CT spine — sagittal view — 350 mm across the image
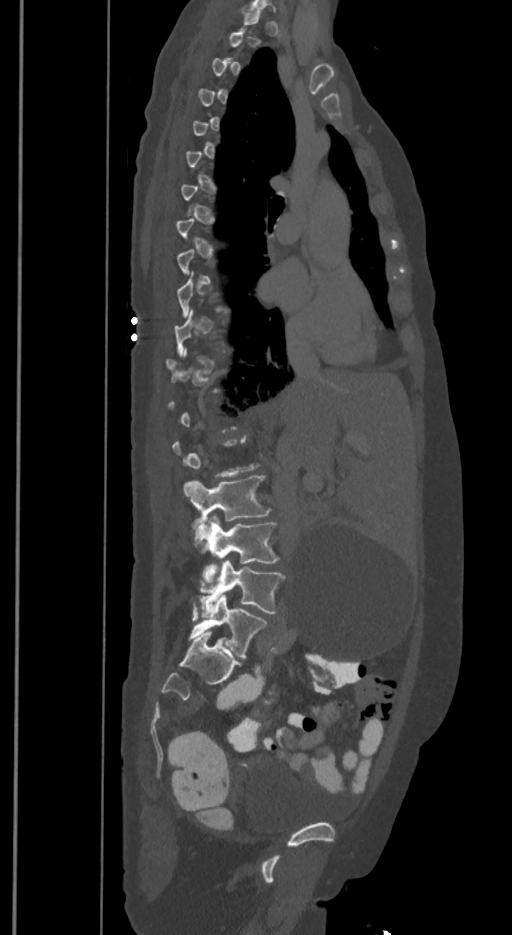
Boxes: x1 y1 x2 y2 (pixel coords, space-separated). Not every vertebra on this slice has a box: a vertebra is boxed only from the first to the last slice where its cross-section is at least a third of its largest, and this slice is outside that range for at least one of them. In these labels the spine has an L6, a sixth lumbar vertebra below L5. Vertebrae labeled: L3 at 183 475 269 539, L4 at 194 515 278 582, L5 at 200 561 284 616, L6 at 187 594 266 657.